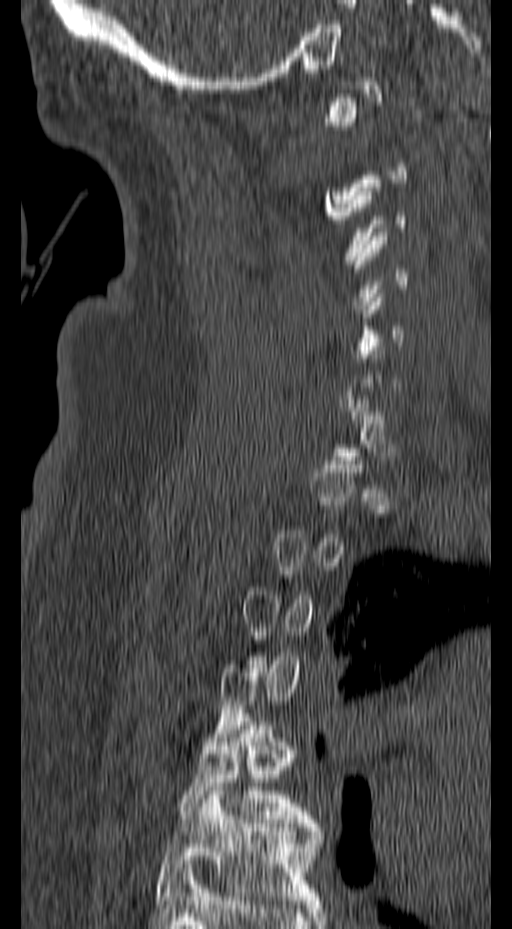
Spine CT. sagittal view. W/L 1800/400 HU. 512x929 px
Boxes: x1:y1:x2:y2 in pixels.
Not every vertebra on this slice has a box: a vertebra is boxed only from the first to the last slice where its cross-section is at least a third of its largest, and this slice is outside that range for at least one of them.
Vertebra bounding boxes:
- T5: 177:713:318:827
- T6: 154:787:323:904